CT spine — sagittal view — Bone window (WL 400, WW 1800) — part of the image is a flat gray fill, not anatomy
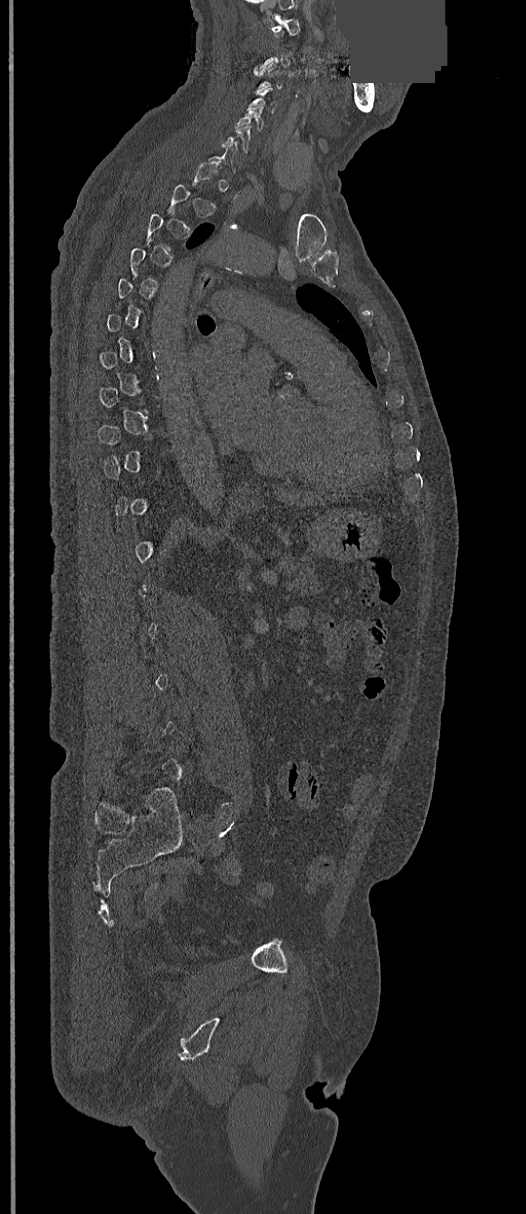

Bounding boxes as [x1, y1, x2, y2] in pixel coordinates.
Each vertebra is boxed only on the slices from the first to the last where its cross-section reaches a third of its largest, so a slice outside that range leaves it unboxed.
Vertebra bounding boxes:
- C1: [271, 17, 299, 35]
- C5: [236, 106, 263, 130]